Computed tomography of the spine; sagittal view; Bone window (WL 400, WW 1800)
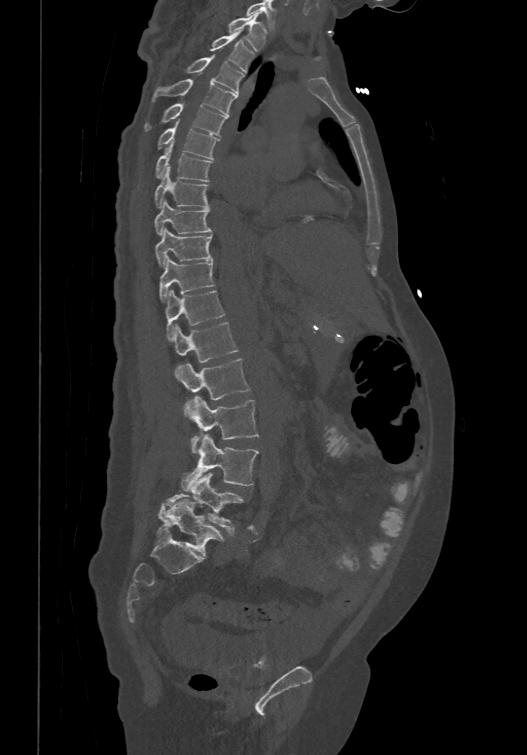
Box edges are left/top/right/bottom in pixels.
This scan's labels start at T1 at the top and end at L6 at the bottom.
These labels give the spine a sixth lumbar vertebra, L6, below L5.
| vertebra | x1 | y1 | x2 | y2 |
|---|---|---|---|---|
| T1 | 227 | 12 | 266 | 50 |
| T2 | 210 | 30 | 253 | 71 |
| T3 | 186 | 54 | 244 | 92 |
| T4 | 151 | 77 | 237 | 114 |
| T5 | 144 | 102 | 227 | 134 |
| T6 | 157 | 121 | 219 | 157 |
| T7 | 155 | 141 | 212 | 180 |
| T8 | 154 | 166 | 209 | 207 |
| T9 | 154 | 198 | 211 | 234 |
| T10 | 155 | 227 | 212 | 267 |
| T11 | 158 | 255 | 215 | 302 |
| T12 | 166 | 288 | 224 | 339 |
| L1 | 172 | 321 | 238 | 361 |
| L2 | 175 | 357 | 250 | 418 |
| L3 | 189 | 396 | 259 | 452 |
| L4 | 181 | 434 | 258 | 491 |
| L5 | 158 | 473 | 244 | 531 |
| L6 | 157 | 499 | 224 | 556 |